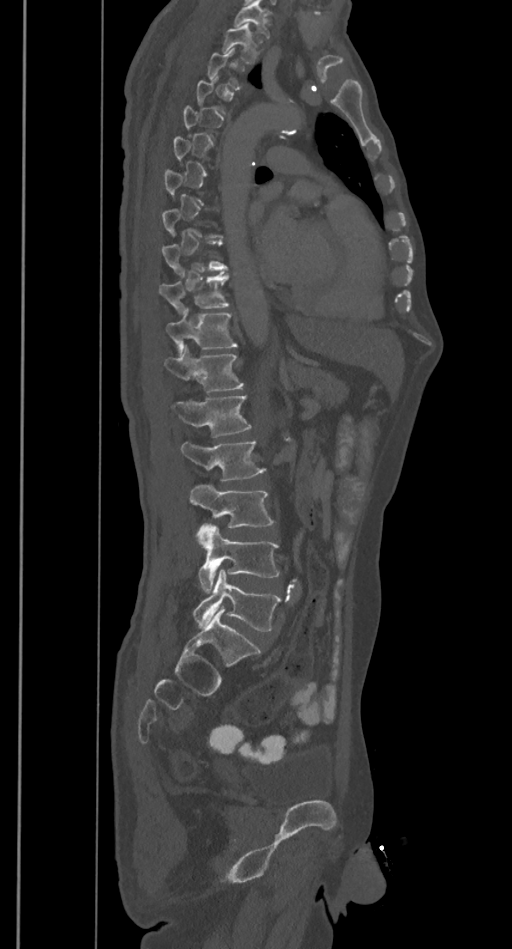

Computed tomography of the spine · sagittal view

Each box given as x1,y1,x2,y2. Not every vertebra on this slice has a box: a vertebra is boxed only from the first to the last slice where its cross-section is at least a third of its largest, and this slice is outside that range for at least one of them. Vertebrae that run past the top of the scan are left unlabeled. Vertebrae labeled: T2 at x1=222, y1=24, x2=258, y2=62, T10 at x1=159, y1=273, x2=229, y2=313, T11 at x1=166, y1=314, x2=237, y2=353, T12 at x1=163, y1=346, x2=244, y2=393, L1 at x1=171, y1=396, x2=252, y2=437, L2 at x1=181, y1=442, x2=265, y2=481, L3 at x1=190, y1=484, x2=274, y2=528, L4 at x1=198, y1=523, x2=279, y2=593, L5 at x1=193, y1=569, x2=281, y2=630.